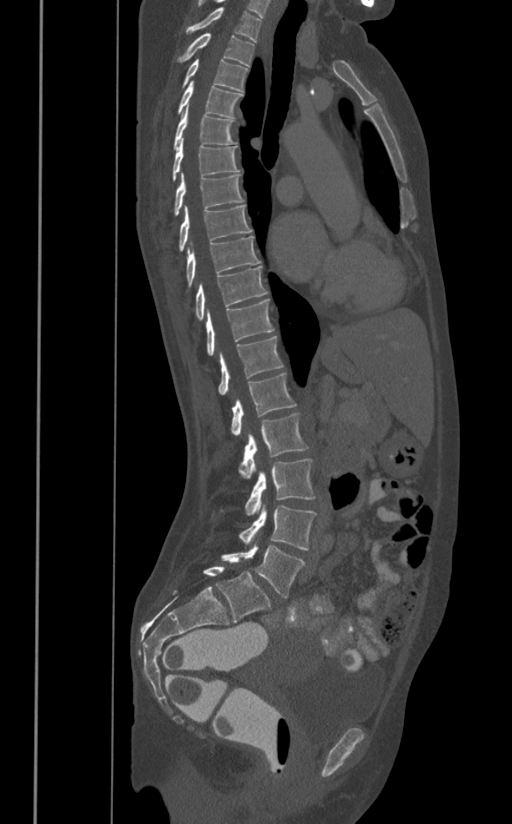 Spine CT — sagittal view
Each vertebra maps to its box as [x1, y1, x2, y2], the pixel coordinates of its top-left and bottom-right corners.
{"vertebrae":{"L5":[221,544,305,598],"L4":[238,504,316,549],"L3":[221,458,316,515],"L2":[239,412,308,479],"L1":[231,374,296,435],"T12":[218,336,283,395],"T11":[205,298,274,355],"T10":[195,266,267,320],"T9":[186,236,261,289],"T8":[179,204,252,251],"T7":[174,172,244,215],"T6":[171,138,241,182],"T5":[173,105,237,150],"T4":[177,81,242,117],"T3":[182,59,248,91],"T2":[177,33,254,66],"T1":[186,7,261,41]}}